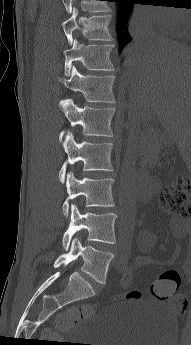

Computed tomography of the spine — sagittal view — W/L 1800/400 HU

Each box given as x1,y1,x2,y2. 8 vertebrae labeled — T10 at x1=61, y1=7, x2=113, y2=45; T11 at x1=63, y1=39, x2=115, y2=76; T12 at x1=58, y1=65, x2=115, y2=102; L1 at x1=59, y1=99, x2=115, y2=142; L2 at x1=59, y1=130, x2=113, y2=183; L3 at x1=62, y1=171, x2=114, y2=217; L4 at x1=62, y1=204, x2=117, y2=250; L5 at x1=53, y1=238, x2=114, y2=283.